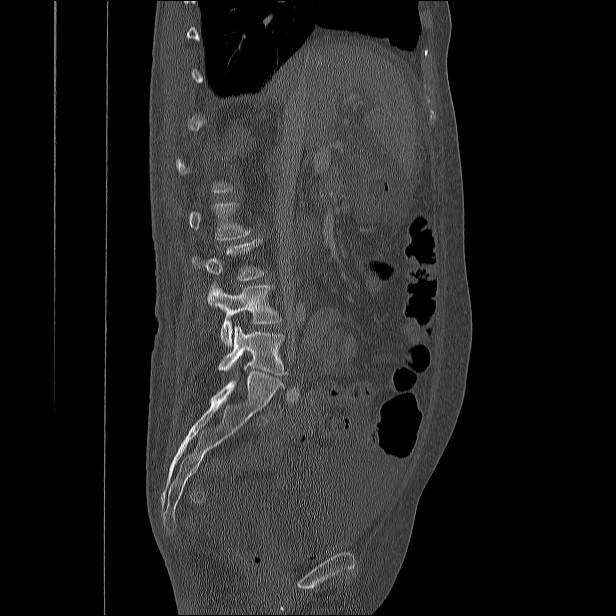 CT — sagittal view
Each box given as x1,y1,x2,y2. A vertebra gets a box only on the slices from the first to the last where its cross-section is at least a third of its largest; on a slice outside that range it gets none. The labeled vertebrae in this slice are: L2 at x1=179, y1=202, x2=251, y2=240, L3 at x1=190, y1=239, x2=263, y2=280, L4 at x1=207, y1=284, x2=281, y2=345, L5 at x1=218, y1=326, x2=288, y2=375.